Computed tomography of the spine — sagittal reformat — W/L 1800/400 HU — 143x379 px — 14 vertebrae labeled in this scan
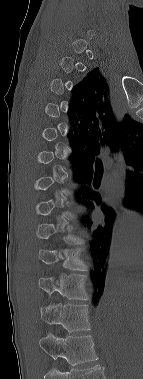

Not every vertebra on this slice has a box: a vertebra is boxed only from the first to the last slice where its cross-section is at least a third of its largest, and this slice is outside that range for at least one of them.
The highest labeled vertebra in this scan is C6; the lowest is T12.
<vertebrae><v name="T9" x1="36" y1="224" x2="84" y2="244"/><v name="T10" x1="38" y1="247" x2="87" y2="270"/><v name="T11" x1="38" y1="273" x2="88" y2="299"/><v name="T12" x1="40" y1="301" x2="90" y2="331"/></vertebrae>